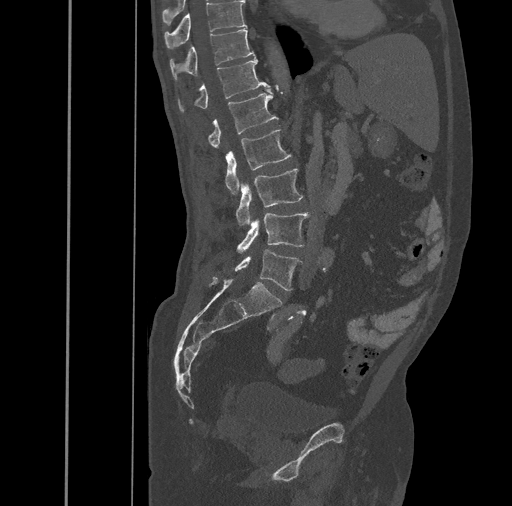
Spine computed tomography — sagittal view
Columns x1, y1, x2, y2 give each box's top-left and bottom-right pixels.
| vertebra | x1 | y1 | x2 | y2 |
|---|---|---|---|---|
| T10 | 164 | 1 | 246 | 48 |
| T11 | 170 | 28 | 254 | 80 |
| T12 | 178 | 58 | 270 | 111 |
| L1 | 208 | 89 | 278 | 147 |
| L2 | 225 | 129 | 290 | 193 |
| L3 | 236 | 168 | 303 | 225 |
| L4 | 237 | 213 | 308 | 253 |
| L5 | 234 | 249 | 302 | 291 |